CT spine. sagittal reformat
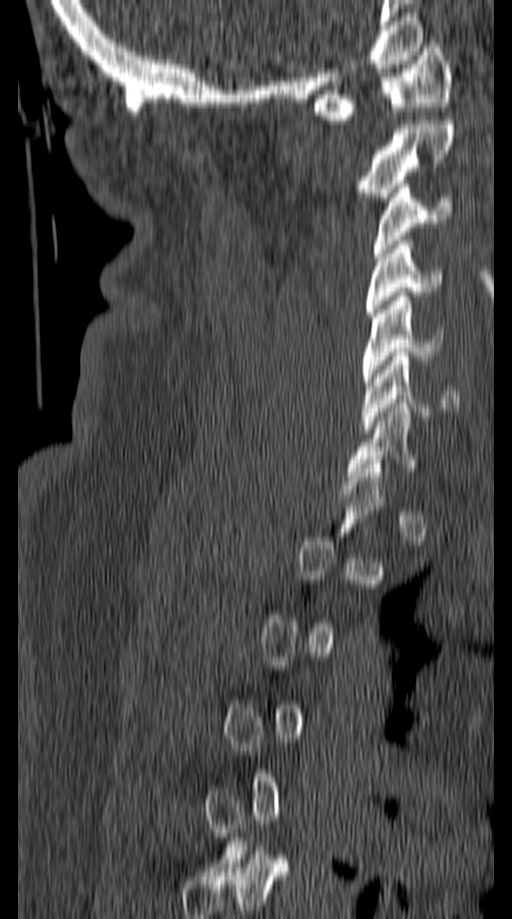

Each vertebra maps to its box as [x1, y1, x2, y2], the pixel coordinates of its top-left and bottom-right corners.
Each vertebra is boxed only on the slices from the first to the last where its cross-section reaches a third of its largest, so a slice outside that range leaves it unboxed.
{"vertebrae":{"C6":[362,352,458,433],"C5":[362,292,443,386],"C4":[365,241,440,317],"C3":[372,180,453,257],"C2":[359,120,454,201],"C1":[314,43,450,124]}}